CT, spine · sagittal plane, index 271 · 555x689 px · scan covers 7 annotated vertebrae
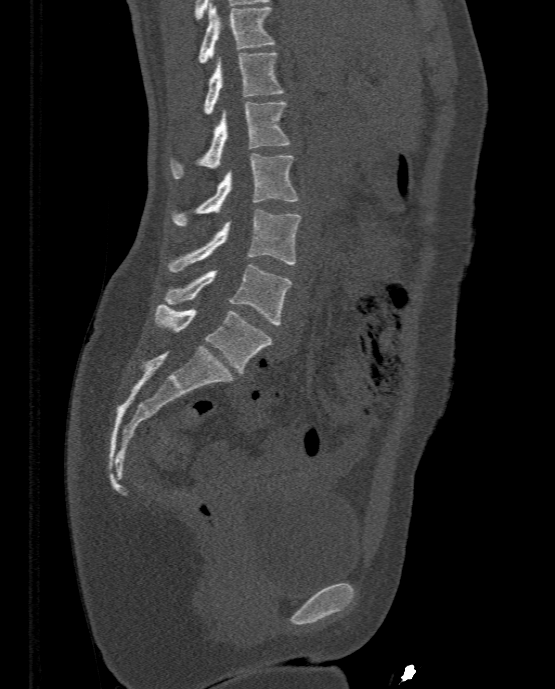
Each row gives a vertebra's box as x1, y1, x2, y2 in pixels: top-left corner, then bottom-right corner.
| vertebra | x1 | y1 | x2 | y2 |
|---|---|---|---|---|
| T11 | 198 | 3 | 275 | 62 |
| T12 | 203 | 52 | 284 | 114 |
| L1 | 171 | 101 | 291 | 178 |
| L2 | 171 | 154 | 298 | 226 |
| L3 | 168 | 210 | 300 | 272 |
| L4 | 165 | 263 | 292 | 324 |
| L5 | 155 | 304 | 272 | 373 |